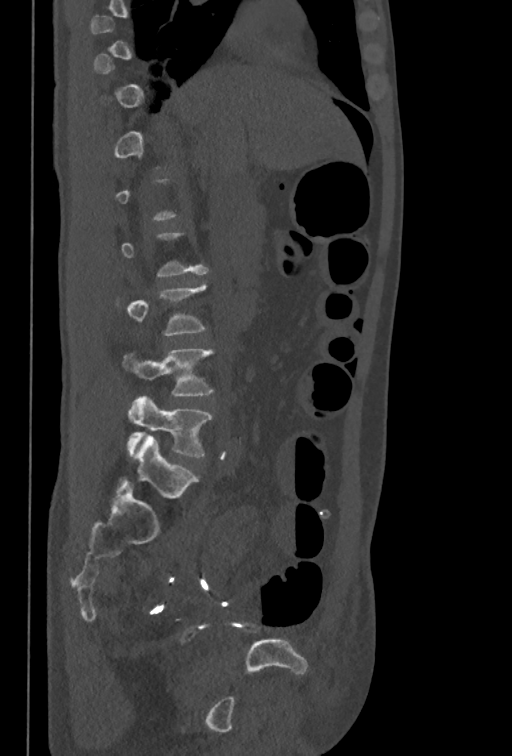 CT spine. sagittal view. bone window. the image is 350 mm wide. 512x756 px
Bounding boxes as [x1, y1, x2, y2] in pixel coordinates. A vertebra gets a box only on the slices from the first to the last where its cross-section is at least a third of its largest; on a slice outside that range it gets none. 2 vertebrae labeled — L4 at [124, 349, 212, 395]; L5 at [126, 396, 212, 456].